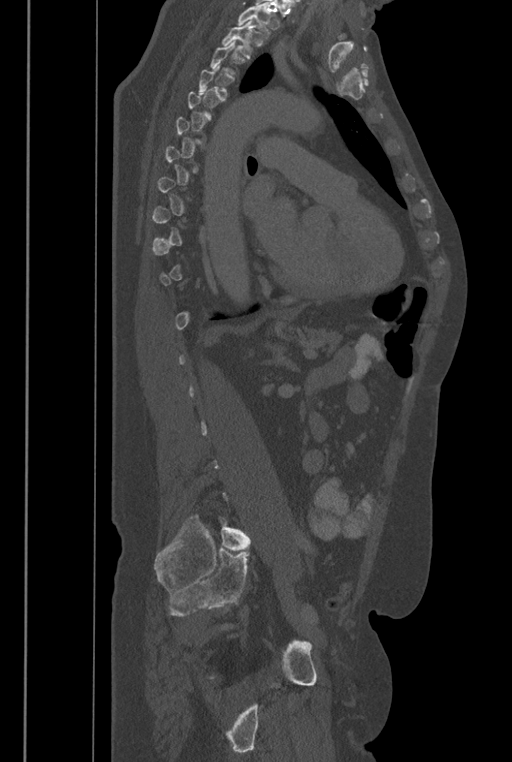

Spine computed tomography. sagittal view. W/L 1800/400 HU. 512x762 px
Bounding boxes as [x1, y1, x2, y2] in pixel coordinates. A vertebra is boxed only from the first to the last slice where its cross-section is at least a third of its largest; slices outside that range leave it without a box. A vertebra cut off by the top edge of the scan is not labeled and has no box. These labels give the spine a sixth lumbar vertebra, L6, below L5. The labeled vertebrae in this slice are: T2 at [221, 21, 253, 58], L6 at [218, 517, 251, 550].